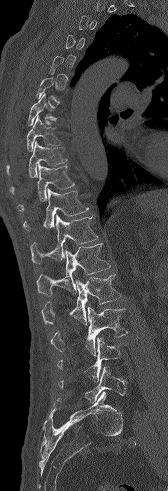

Spine CT — sagittal view
Each box given as x1,y1,x2,y2.
A vertebra is boxed only from the first to the last slice where its cross-section is at least a third of its largest; slices outside that range leave it without a box.
| vertebra | x1 | y1 | x2 | y2 |
|---|---|---|---|---|
| T7 | 28 | 91 | 56 | 125 |
| T8 | 6 | 114 | 62 | 175 |
| T9 | 10 | 140 | 67 | 194 |
| T10 | 17 | 164 | 75 | 211 |
| T11 | 23 | 188 | 88 | 230 |
| T12 | 30 | 214 | 98 | 263 |
| L1 | 36 | 243 | 110 | 295 |
| L2 | 41 | 274 | 121 | 325 |
| L3 | 50 | 306 | 127 | 355 |
| L4 | 57 | 337 | 123 | 381 |
| L5 | 58 | 367 | 126 | 402 |